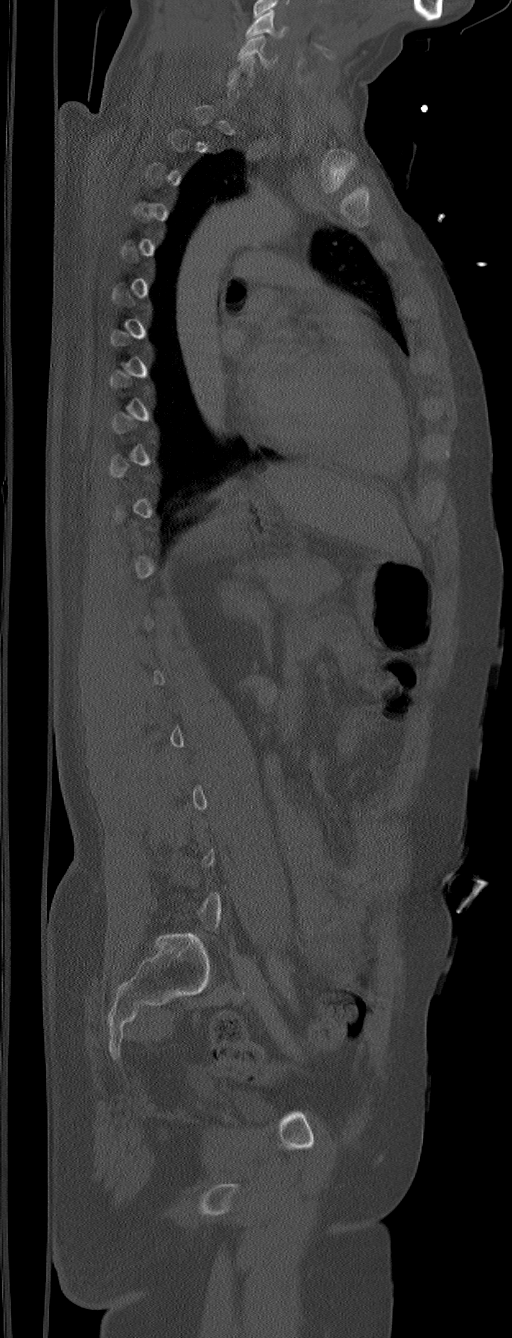

Spine computed tomography — sagittal view — W/L 1800/400 HU — 512x1338 px

Box edges are left/top/right/bottom in pixels.
A vertebra is boxed only from the first to the last slice where its cross-section is at least a third of its largest; slices outside that range leave it without a box.
This scan's labels start at C5 at the top and end at L6 at the bottom.
| vertebra | x1 | y1 | x2 | y2 |
|---|---|---|---|---|
| C6 | 226 | 55 | 254 | 86 |
| C5 | 237 | 35 | 277 | 67 |